Computed tomography of the spine. sagittal plane, index 33
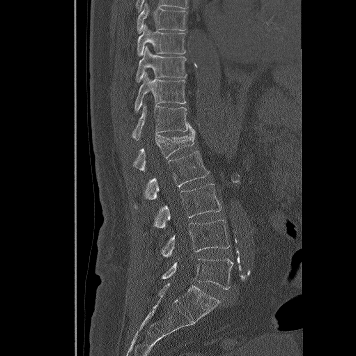
Each box is [x1, y1, x2, y2] in pixels: top-left corner, then bottom-right corner.
{"vertebrae":{"T8":[137,3,187,33],"T9":[137,23,185,55],"T10":[135,46,187,82],"T11":[135,71,186,111],"T12":[132,104,194,140],"L1":[132,131,195,171],"L2":[134,151,209,210],"L3":[153,184,221,228],"L4":[161,217,229,256],"L5":[162,258,233,289]}}